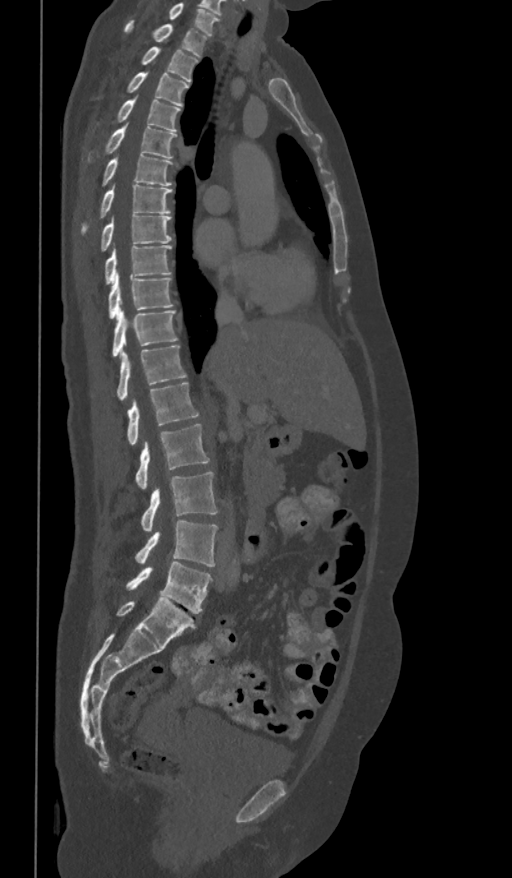

CT, spine. sagittal view. 512x878 px
In the table, x1 and y1 are a box's top-left corner and x2 and y2 its bottom-right corner, in pixels.
Labels in this scan begin with T1 at the top and end with L5 at the bottom.
| vertebra | x1 | y1 | x2 | y2 |
|---|---|---|---|---|
| T1 | 125 | 20 | 207 | 56 |
| T2 | 142 | 47 | 197 | 82 |
| T3 | 127 | 71 | 189 | 106 |
| T4 | 116 | 97 | 180 | 132 |
| T5 | 105 | 123 | 176 | 159 |
| T6 | 103 | 154 | 173 | 185 |
| T7 | 82 | 184 | 172 | 230 |
| T8 | 100 | 214 | 172 | 250 |
| T9 | 105 | 246 | 170 | 284 |
| T10 | 109 | 273 | 173 | 318 |
| T11 | 112 | 308 | 177 | 356 |
| T12 | 116 | 345 | 186 | 401 |
| L1 | 127 | 382 | 199 | 444 |
| L2 | 136 | 425 | 209 | 489 |
| L3 | 142 | 471 | 217 | 531 |
| L4 | 136 | 520 | 217 | 567 |
| L5 | 126 | 562 | 212 | 613 |